CT · sagittal view · 13 vertebrae labeled in this scan
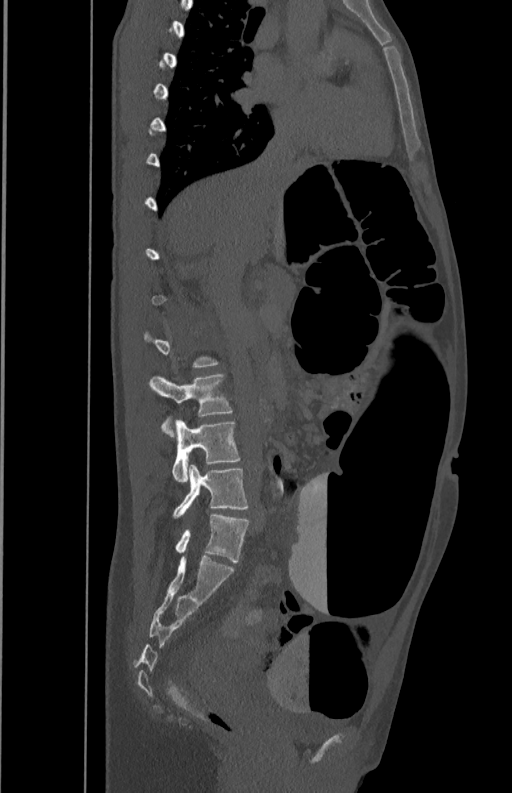
Boxes below are [x1, y1, x2, y2] in pixels.
A vertebra gets a box only on the slices from the first to the last where its cross-section is at least a third of its largest; on a slice outside that range it gets none.
{"vertebrae":{"L5":[172,463,249,518],"L4":[172,420,240,481],"L3":[149,374,233,437]}}